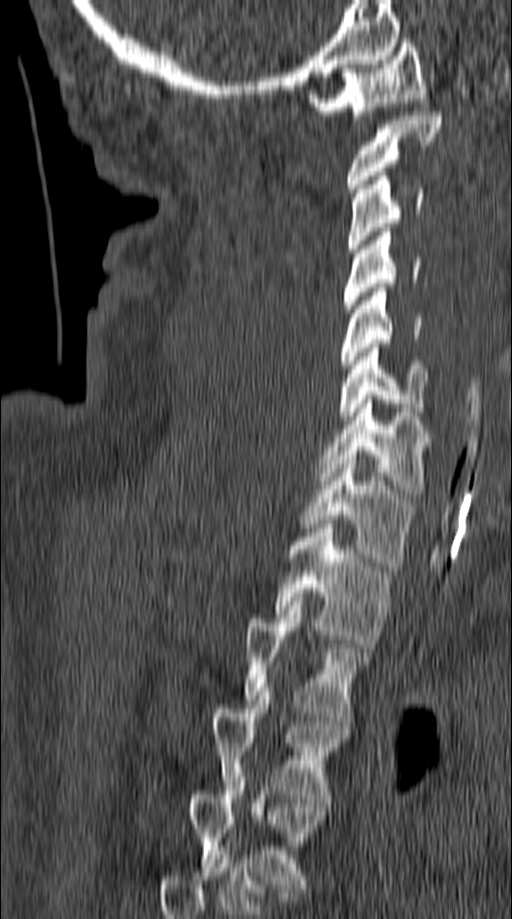 CT spine. sagittal view. Bone window (WL 400, WW 1800)
Each box given as x1,y1,x2,y2.
Vertebra bounding boxes:
- C1: x1=307, y1=39, x2=426, y2=119
- C2: x1=348, y1=112, x2=443, y2=192
- C3: x1=348, y1=172, x2=423, y2=252
- C4: x1=342, y1=228, x2=420, y2=313
- C5: x1=341, y1=288, x2=423, y2=368
- C6: x1=338, y1=344, x2=430, y2=420
- C7: x1=317, y1=395, x2=433, y2=497
- T1: x1=299, y1=460, x2=413, y2=566
- T2: x1=274, y1=524, x2=392, y2=648
- T3: x1=245, y1=597, x2=371, y2=721
- T4: x1=211, y1=687, x2=351, y2=802
- T5: x1=190, y1=777, x2=327, y2=892